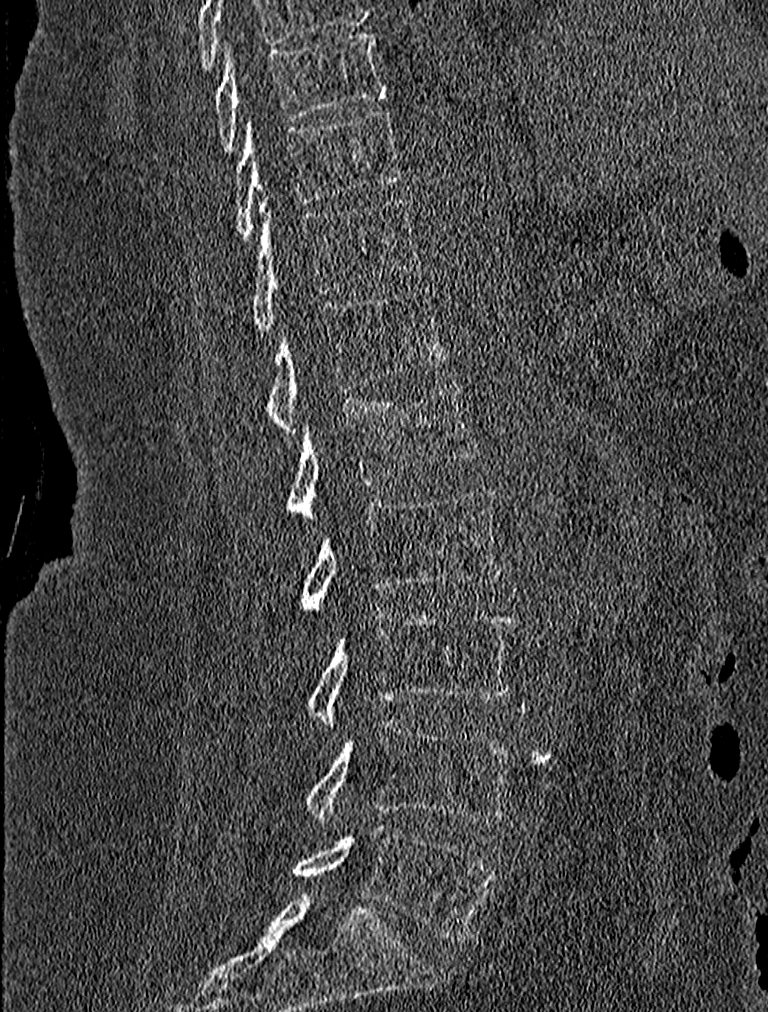 Computed tomography of the spine — sagittal view
Boxes: x1:y1:x2:y2 in pixels.
T9: 212:30:387:151
T10: 232:108:404:240
T11: 249:196:421:331
T12: 263:288:448:433
L1: 286:379:478:518
L2: 297:487:502:610
L3: 303:611:515:725
L4: 303:719:513:827
L5: 293:824:499:941